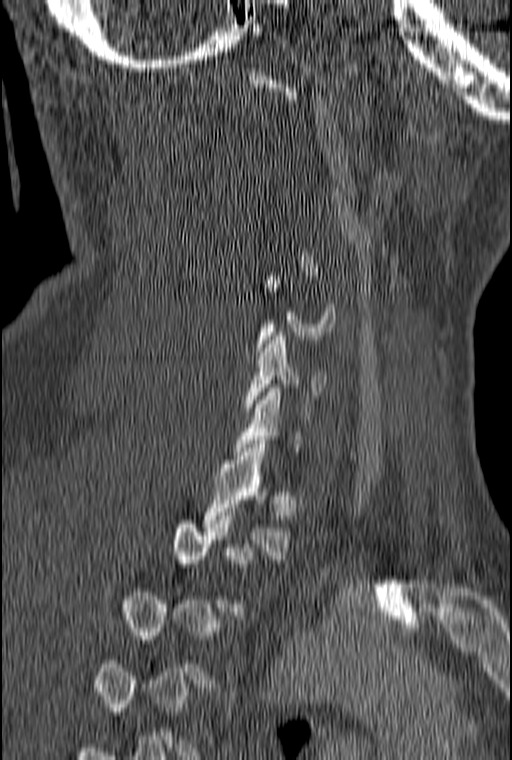 CT, spine; sagittal view
Each vertebra is boxed only on the slices from the first to the last where its cross-section reaches a third of its largest, so a slice outside that range leaves it unboxed.
<vertebrae><v name="C6" x1="245" y1="332" x2="327" y2="411"/><v name="T1" x1="203" y1="444" x2="291" y2="559"/></vertebrae>